CT; sagittal plane, index 226
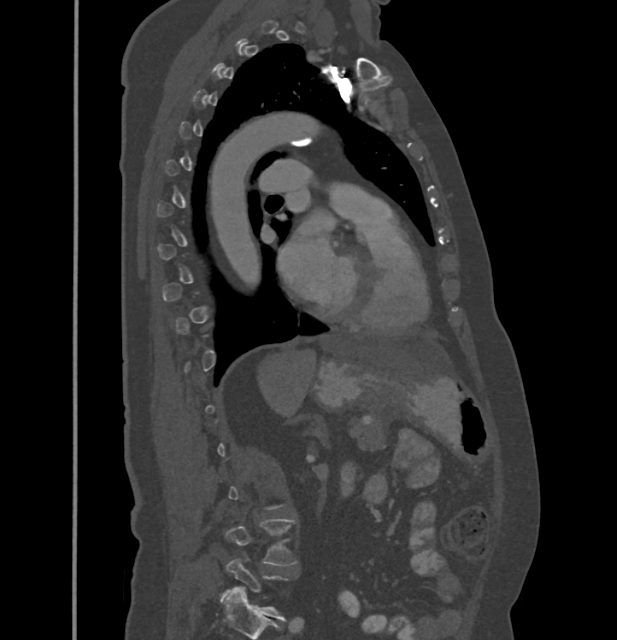 Boxes: x1 y1 x2 y2 (pixel coords, space-separated).
A vertebra is boxed only from the first to the last slice where its cross-section is at least a third of its largest; slices outside that range leave it without a box.
Vertebra bounding boxes:
- L4: 225 519 298 565
- L5: 222 559 287 619